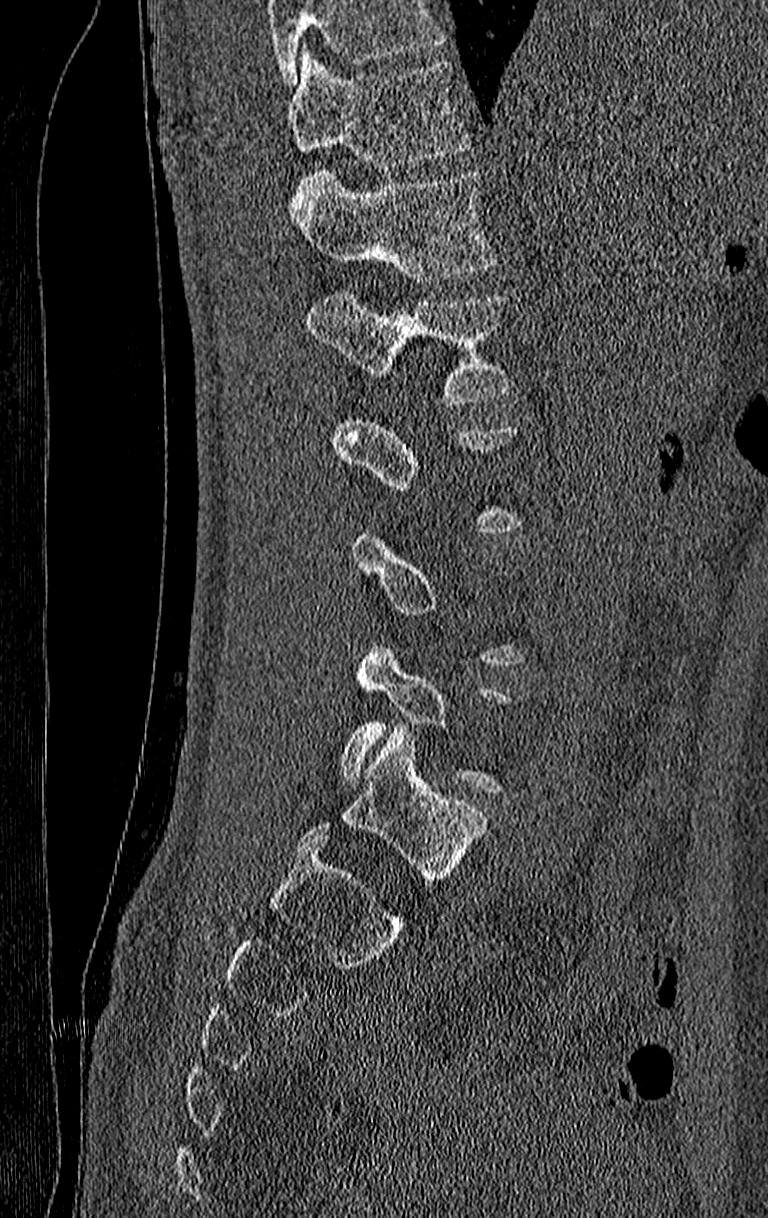
Computed tomography of the spine · sagittal view · the image spans 210 mm across
A vertebra is boxed only from the first to the last slice where its cross-section is at least a third of its largest; slices outside that range leave it without a box.
No box is given to a vertebra that the top edge of the scan cuts off.
<vertebrae><v name="T11" x1="288" y1="46" x2="469" y2="169"/><v name="T12" x1="288" y1="173" x2="495" y2="282"/><v name="L1" x1="306" y1="290" x2="513" y2="405"/></vertebrae>